CT — sagittal reformat — bone-window reconstruction — 512x705 px
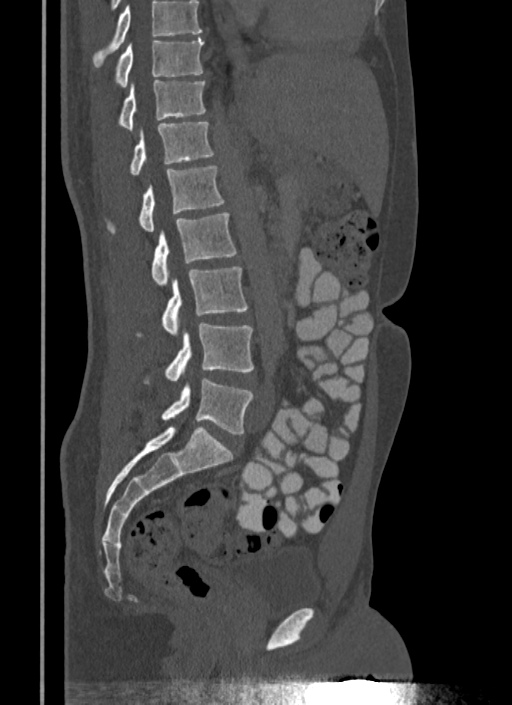
In the table, x1 and y1 are a box's top-left corner and x2 and y2 its bottom-right corner, in pixels.
A vertebra cut off by the top edge of the scan is not labeled and has no box.
| vertebra | x1 | y1 | x2 | y2 |
|---|---|---|---|---|
| L5 | 161 | 378 | 253 | 434 |
| L4 | 143 | 322 | 253 | 385 |
| L3 | 137 | 267 | 247 | 335 |
| L2 | 150 | 212 | 237 | 285 |
| L1 | 105 | 166 | 225 | 234 |
| T12 | 129 | 122 | 214 | 175 |
| T11 | 117 | 80 | 205 | 130 |
| T10 | 93 | 38 | 204 | 92 |